CT spine; sagittal view
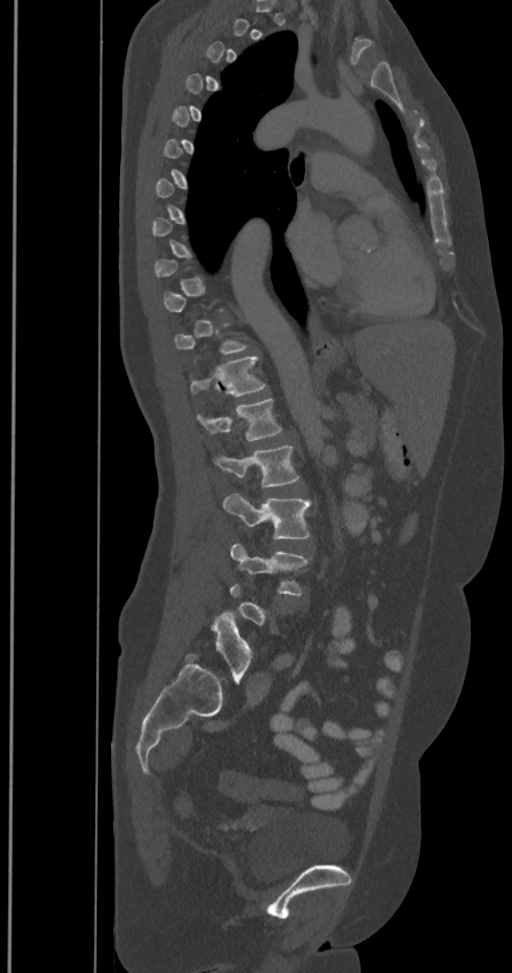

Box edges are left/top/right/bottom in pixels.
A vertebra is boxed only from the first to the last slice where its cross-section is at least a third of its largest; slices outside that range leave it without a box.
In these labels the spine has an L6, a sixth lumbar vertebra below L5.
T12: left=190, top=355, right=266, bottom=395
L1: left=196, top=398, right=283, bottom=441
L2: left=213, top=445, right=299, bottom=486
L3: left=224, top=494, right=310, bottom=539
L4: left=231, top=542, right=310, bottom=597
L6: left=197, top=612, right=252, bottom=682